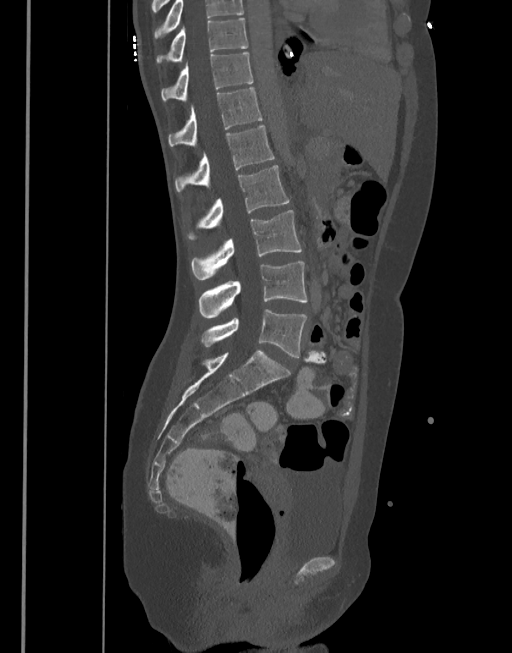
Computed tomography of the spine. sagittal view. bone window
The highest labeled vertebra in this scan is T10; the lowest is L5.
<vertebrae><v name="L5" x1="201" y1="309" x2="307" y2="357"/><v name="L4" x1="198" y1="262" x2="307" y2="318"/><v name="L3" x1="191" y1="210" x2="302" y2="280"/><v name="L2" x1="186" y1="165" x2="289" y2="239"/><v name="L1" x1="175" y1="125" x2="275" y2="191"/><v name="T12" x1="168" y1="88" x2="262" y2="146"/><v name="T11" x1="161" y1="53" x2="253" y2="100"/><v name="T10" x1="156" y1="18" x2="247" y2="63"/></vertebrae>